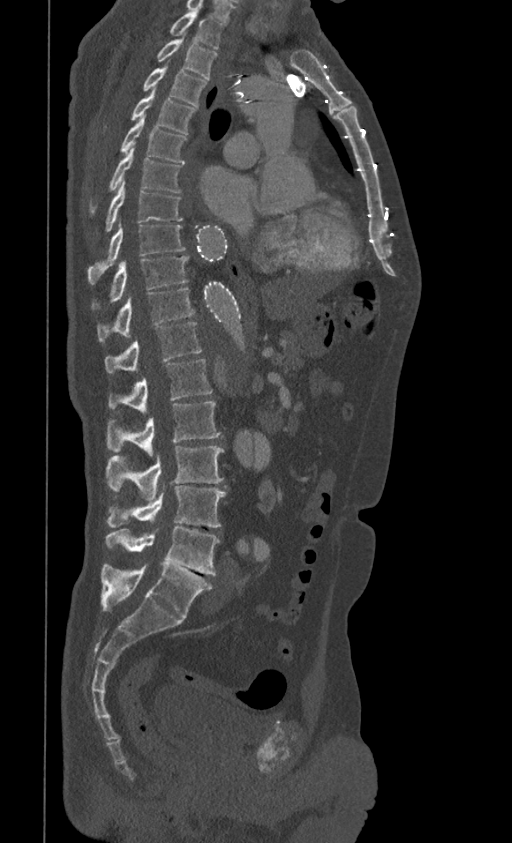
CT spine; sagittal view; W/L 1800/400 HU; 512x843 px
Box edges are left/top/right/bottom in pixels.
Vertebra bounding boxes:
- T1: left=171, top=10, right=223, bottom=49
- T2: left=156, top=37, right=217, bottom=79
- T3: left=144, top=66, right=207, bottom=105
- T4: left=131, top=89, right=195, bottom=134
- T5: left=120, top=115, right=186, bottom=163
- T6: left=91, top=147, right=180, bottom=211
- T7: left=105, top=181, right=182, bottom=231
- T8: left=87, top=219, right=185, bottom=284
- T9: left=92, top=256, right=187, bottom=309
- T10: left=97, top=288, right=194, bottom=342
- T11: left=105, top=322, right=202, bottom=372
- T12: left=109, top=359, right=212, bottom=414
- L1: left=106, top=402, right=222, bottom=456
- L2: left=106, top=446, right=223, bottom=500
- L3: left=108, top=484, right=226, bottom=527
- L4: left=105, top=527, right=220, bottom=575
- L5: left=101, top=565, right=212, bottom=618